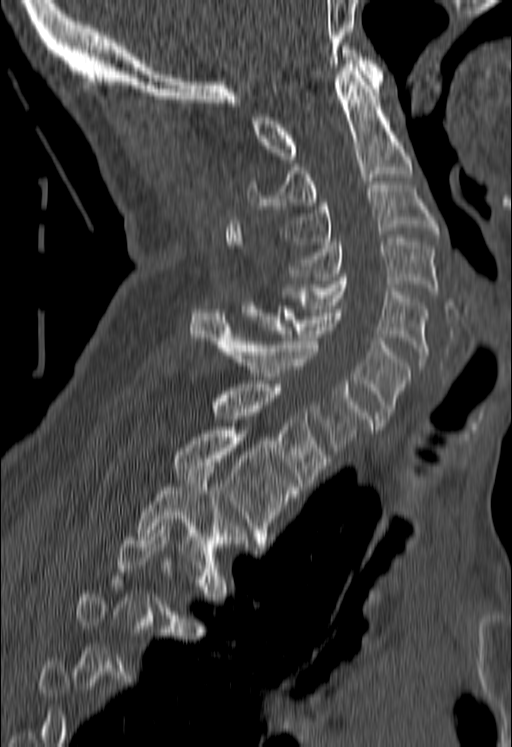 CT spine. sagittal view. Bone window (WL 400, WW 1800)
Bounding boxes as [x1, y1, x2, y2] in pixel coordinates.
Each vertebra is boxed only on the slices from the first to the last where its cross-section reaches a third of its largest, so a slice outside that range leaves it unboxed.
Vertebra bounding boxes:
- C1: [254, 46, 383, 159]
- C2: [248, 64, 412, 209]
- C3: [283, 185, 438, 244]
- C4: [290, 238, 438, 294]
- C5: [283, 277, 427, 365]
- C6: [241, 302, 410, 422]
- C7: [190, 309, 373, 454]
- T1: [211, 384, 330, 486]
- T2: [172, 427, 299, 547]
- T3: [137, 466, 247, 568]